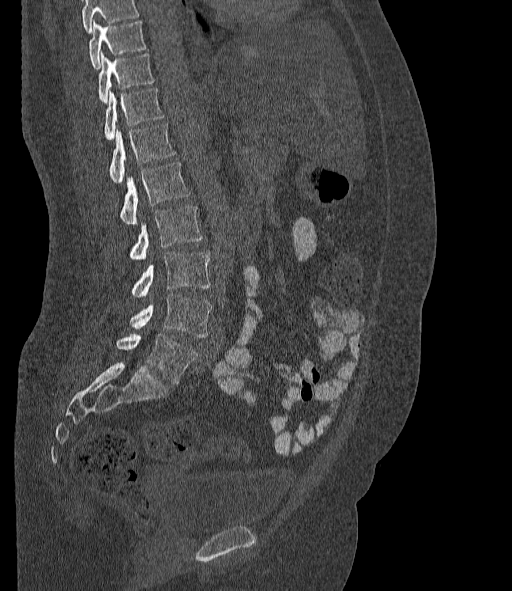

CT · sagittal view · W/L 1800/400 HU. Boxes: x1 y1 x2 y2 (pixel coords, space-separated).
Where the top of the scan cuts through a vertebra, that vertebra gets no label or box.
These labels give the spine a sixth lumbar vertebra, L6, below L5.
L6: 117 334 197 383
L5: 130 293 211 337
L4: 132 253 209 298
L3: 130 206 201 260
L2: 121 163 189 224
L1: 110 124 175 182
T12: 104 88 163 140
T11: 98 53 154 102
T10: 89 20 145 68